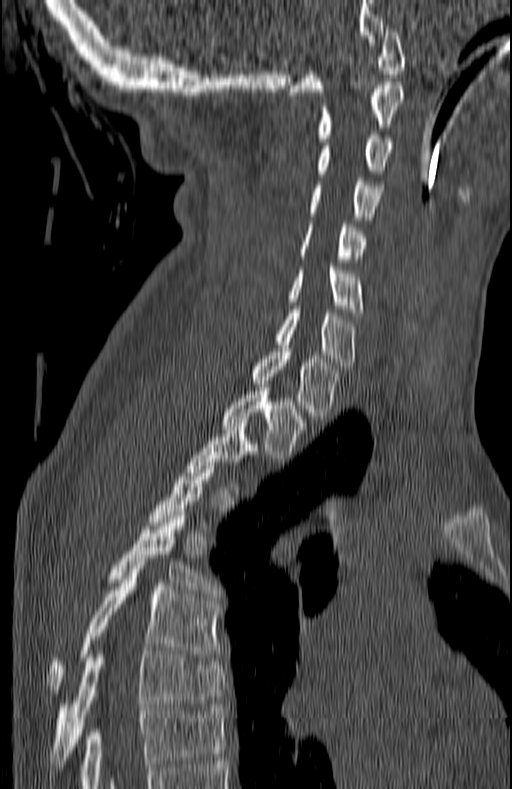

CT spine · sagittal view

Boxes below are [x1, y1, x2, y2] in pixels.
A vertebra is boxed only from the first to the last slice where its cross-section is at least a third of its largest; slices outside that range leave it without a box.
{"vertebrae":{"C1":[288,28,404,95],"C2":[317,85,404,141],"C3":[317,135,392,177],"C4":[308,178,381,219],"C5":[300,224,367,259],"C6":[288,267,361,315],"C7":[274,309,355,369],"T1":[251,348,338,419],"T2":[223,388,304,461],"T5":[109,512,219,596],"T6":[46,565,219,696],"T7":[49,647,225,767]}}